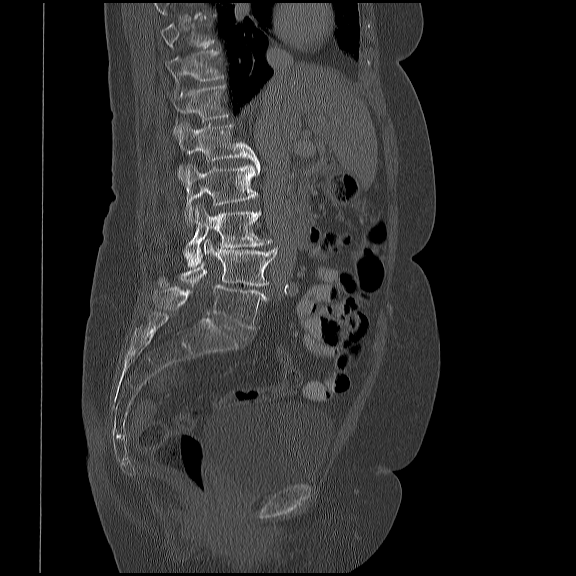

Spine computed tomography. 419 mm image width. sagittal reformat. bone window
Coordinates as <box>x1,y1,x2,y2</box>. A vertebra gets a box only on the slices from the first to the last where its cross-section is at least a third of its largest; on a slice outside that range it gets none. Vertebrae labeled: T11 at <box>165,50,224,83</box>, T12 at <box>170,84,228,136</box>, L1 at <box>178,123,260,179</box>, L2 at <box>183,164,258,225</box>, L3 at <box>183,204,272,266</box>, L4 at <box>159,240,277,285</box>, L5 at <box>152,284,266,328</box>.